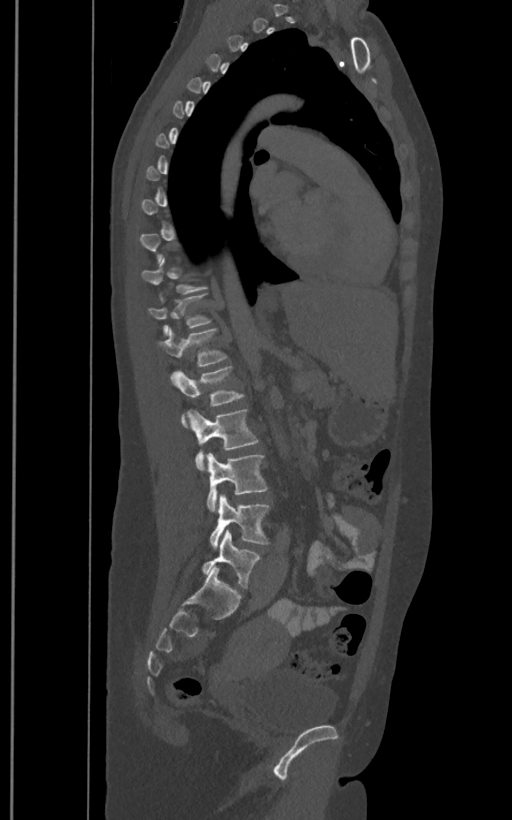

CT spine — sagittal view. Boxes are (x1, y1, x2, y2) in pixels.
A vertebra is boxed only from the first to the last slice where its cross-section is at least a third of its largest; slices outside that range leave it without a box.
The labels name a sixth lumbar vertebra for this spine: L6, after L5.
Vertebra bounding boxes:
- T12: (148, 294, 211, 334)
- L1: (157, 327, 227, 366)
- L2: (173, 366, 245, 426)
- L3: (188, 408, 259, 470)
- L4: (207, 453, 268, 510)
- L5: (210, 494, 269, 549)
- L6: (202, 530, 260, 588)